Spine computed tomography; sagittal view
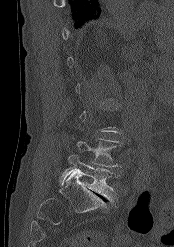 Box edges are left/top/right/bottom in pixels. Not every vertebra on this slice has a box: a vertebra is boxed only from the first to the last slice where its cross-section is at least a third of its largest, and this slice is outside that range for at least one of them. Vertebrae labeled: L4 at left=77, top=138, right=120, bottom=167, L5 at left=59, top=154, right=119, bottom=201.